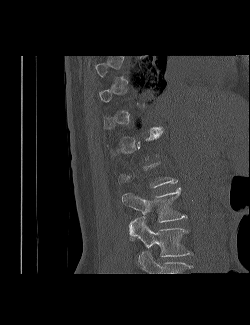
CT, spine. the image spans 250 mm across. sagittal view. bone window
Coordinates as <box>x1,y1,x2,y2</box>.
Not every vertebra on this slice has a box: a vertebra is boxed only from the first to the last slice where its cross-section is at least a third of its largest, and this slice is outside that range for at least one of them.
This scan's labels start at T9 at the top and end at L3 at the bottom.
Vertebra bounding boxes:
- L2: <box>122,187,187,234</box>
- L3: <box>129,217,193,256</box>